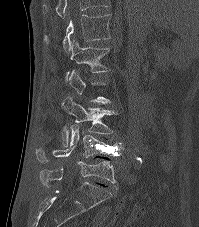
CT spine — sagittal view — 199x227 px
Not every vertebra on this slice has a box: a vertebra is boxed only from the first to the last slice where its cross-section is at least a third of its largest, and this slice is outside that range for at least one of them.
In this scan, the topmost labeled vertebra is T12 and the lowest is L5.
<vertebrae><v name="T12" x1="43" y1="14" x2="111" y2="52"/><v name="L1" x1="66" y1="40" x2="109" y2="82"/><v name="L3" x1="61" y1="94" x2="118" y2="146"/><v name="L4" x1="36" y1="124" x2="125" y2="163"/><v name="L5" x1="40" y1="160" x2="116" y2="188"/></vertebrae>